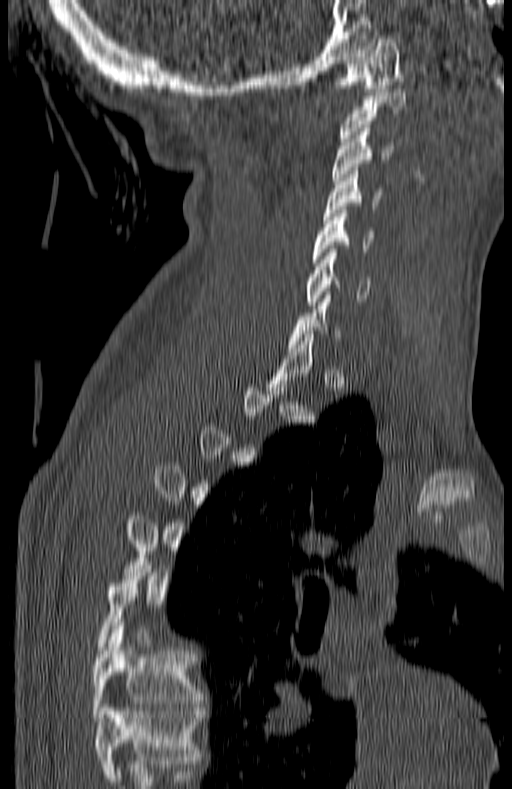 Spine computed tomography — sagittal view
In the table, x1 and y1 are a box's top-left corner and x2 and y2 its bottom-right corner, in pixels.
Each vertebra is boxed only on the slices from the first to the last where its cross-section reaches a third of its largest, so a slice outside that range leaves it unboxed.
The highest labeled vertebra in this scan is C1; the lowest is T7.
| vertebra | x1 | y1 | x2 | y2 |
|---|---|---|---|---|
| C1 | 337 | 39 | 401 | 91 |
| C2 | 339 | 89 | 404 | 141 |
| C3 | 332 | 128 | 394 | 184 |
| C4 | 322 | 171 | 384 | 219 |
| C5 | 314 | 210 | 375 | 266 |
| C6 | 305 | 249 | 370 | 305 |
| T7 | 92 | 626 | 203 | 717 |